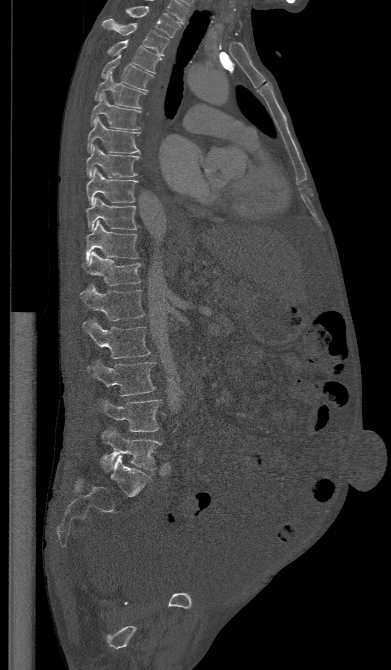

Spine CT · sagittal view. Boxes: x1 y1 x2 y2 (pixel coords, space-separated). The labeled vertebrae in this slice are: T1 at 125 6 180 37, T2 at 102 18 169 55, T3 at 107 39 161 73, T4 at 101 55 153 91, T5 at 94 71 147 108, T6 at 90 94 140 129, T7 at 87 117 141 154, T8 at 86 145 138 177, T9 at 86 168 137 204, T10 at 86 197 136 231, T11 at 85 220 139 261, T12 at 83 252 141 285, L1 at 80 284 144 320, L2 at 83 318 150 358, L3 at 87 358 155 396, L4 at 95 397 161 432, L5 at 101 427 160 471.